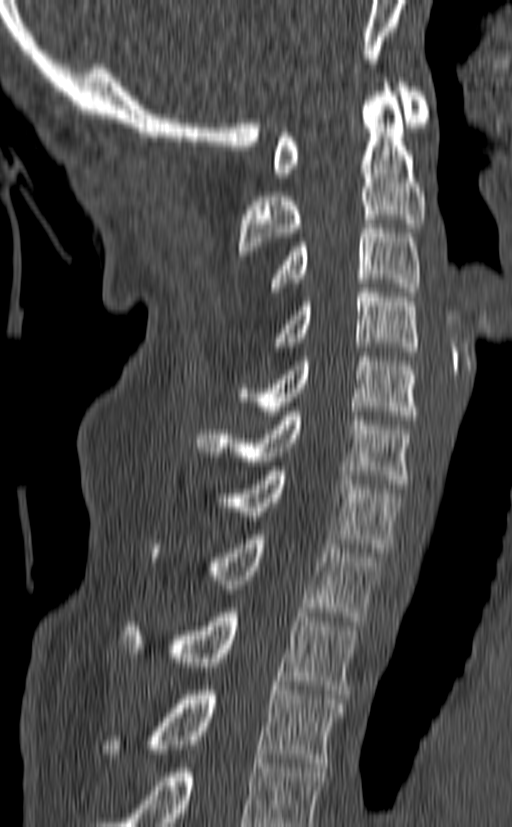
CT spine; sagittal reformat; 140 mm wide; W/L 1800/400 HU; 512x827 px
Boxes below are [x1, y1, x2, y2] in pixels.
This scan's labels start at C1 at the top and end at T3 at the bottom.
{"vertebrae":{"C1":[273,78,428,177],"C2":[238,78,425,255],"C3":[271,219,420,296],"C4":[275,288,417,356],"C5":[237,352,417,420],"C6":[195,411,414,488],"C7":[217,466,403,552],"T1":[150,535,381,621],"T2":[120,608,357,694],"T3":[104,686,344,767]}}